Spine computed tomography · sagittal view · bone window · 317x559 px · 18 vertebrae labeled in this scan
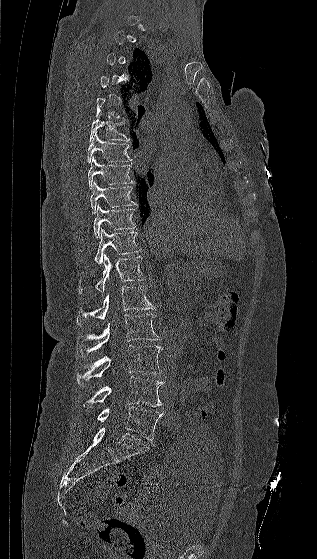

Boxes are (x1, y1, x2, y2) in pixels.
A vertebra is boxed only from the first to the last slice where its cross-section is at least a third of its largest; slices outside that range leave it without a box.
Vertebra bounding boxes:
- T6: (89, 116, 130, 141)
- T7: (87, 133, 132, 164)
- T8: (88, 156, 135, 189)
- T9: (90, 180, 137, 213)
- T10: (93, 204, 135, 238)
- T11: (94, 228, 141, 264)
- T12: (78, 254, 146, 293)
- L1: (76, 285, 156, 324)
- L2: (77, 314, 160, 356)
- L3: (77, 345, 162, 385)
- L4: (83, 376, 164, 408)
- L5: (97, 406, 163, 440)